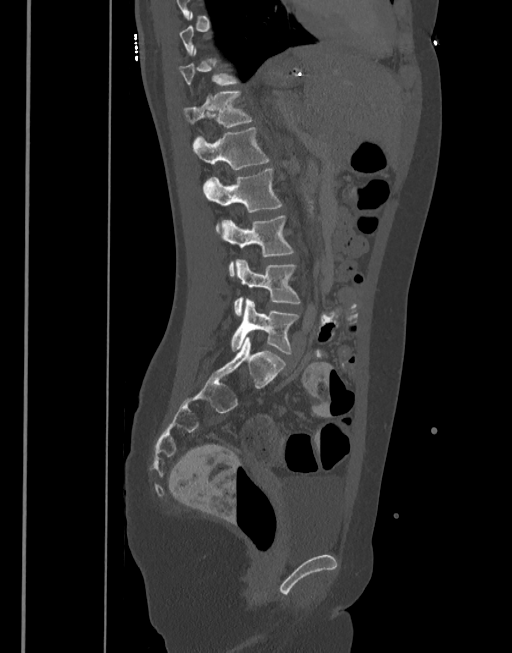 CT spine · sagittal view · bone window
Boxes are (x1, y1, x2, y2) in pixels. Each vertebra is boxed only on the slices from the first to the last where its cross-section reaches a third of its largest, so a slice outside that range leaves it unboxed. The labeled vertebrae in this slice are: T12 at (184, 90, 253, 127), L1 at (192, 127, 269, 170), L2 at (204, 167, 283, 231), L3 at (221, 215, 294, 276), L4 at (233, 259, 300, 316), L5 at (231, 298, 299, 355).